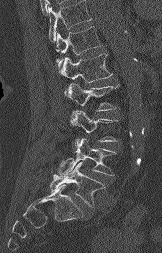

CT spine. sagittal reformat. bone-window reconstruction
Box edges are left/top/right/bottom in pixels.
A vertebra cut off by the top edge of the scan is not labeled and has no box.
Vertebra bounding boxes:
- T12: left=56, top=26, right=101, bottom=69
- L1: left=58, top=53, right=112, bottom=82
- L2: left=65, top=83, right=118, bottom=111
- L3: left=70, top=110, right=117, bottom=145
- L4: left=58, top=138, right=116, bottom=175
- L5: left=50, top=162, right=105, bottom=207